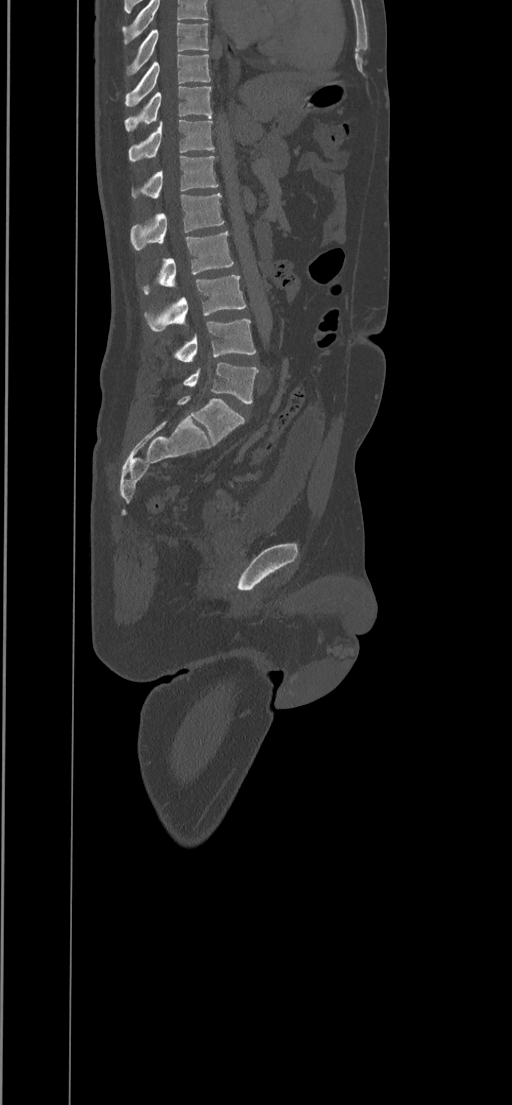 CT spine; sagittal view; W/L 1800/400 HU; 512x1105 px
Labels in this scan begin with T8 at the top and end with L5 at the bottom.
<vertebrae><v name="T8" x1="126" y1="22" x2="208" y2="74"/><v name="T9" x1="125" y1="54" x2="210" y2="106"/><v name="T10" x1="125" y1="86" x2="212" y2="131"/><v name="T11" x1="128" y1="119" x2="214" y2="161"/><v name="T12" x1="131" y1="156" x2="218" y2="199"/><v name="L1" x1="131" y1="192" x2="224" y2="250"/><v name="L2" x1="142" y1="231" x2="234" y2="294"/><v name="L3" x1="145" y1="275" x2="245" y2="330"/><v name="L4" x1="175" y1="319" x2="256" y2="362"/><v name="L5" x1="183" y1="362" x2="258" y2="404"/></vertebrae>